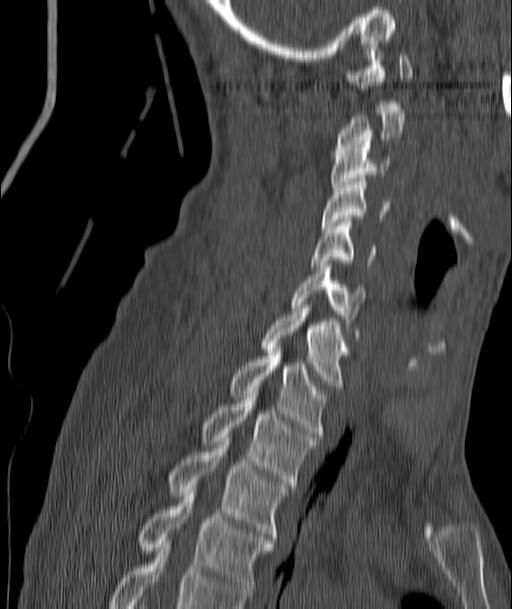

Spine computed tomography · sagittal view · bone window · 512x609 px
Columns x1, y1, x2, y2 give each box's top-left and bottom-right pixels.
| vertebra | x1 | y1 | x2 | y2 |
|---|---|---|---|---|
| C1 | 346 | 44 | 413 | 105 |
| C2 | 338 | 106 | 405 | 150 |
| C3 | 329 | 144 | 389 | 191 |
| C4 | 321 | 178 | 389 | 228 |
| C5 | 310 | 219 | 375 | 266 |
| C6 | 291 | 264 | 364 | 338 |
| C7 | 261 | 305 | 348 | 389 |
| T1 | 231 | 349 | 326 | 437 |
| T2 | 201 | 397 | 315 | 485 |
| T3 | 168 | 445 | 287 | 540 |
| T4 | 138 | 493 | 274 | 598 |